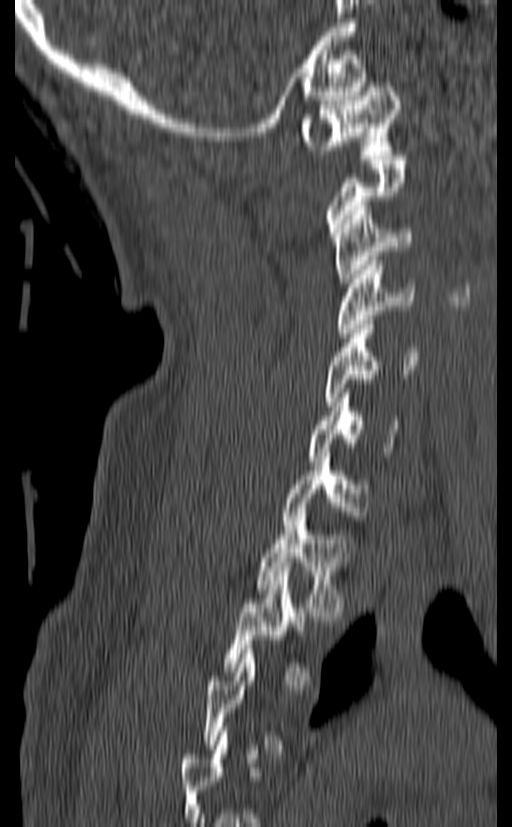 CT, spine; 140 mm wide; sagittal view
Coordinates as <box>x1,y1,x2,y2</box>.
A vertebra is boxed only from the first to the last slice where its cross-section is at least a third of its largest; slices outside that range leave it without a box.
Vertebra bounding boxes:
- C1: <box>301,82,399,154</box>
- C3: <box>332,206,413,287</box>
- C4: <box>334,261,415,337</box>
- C5: <box>323,320,417,406</box>
- C6: <box>308,389,399,461</box>
- C7: <box>283,453,370,529</box>
- T1: <box>256,512,354,616</box>
- T2: <box>223,571,312,685</box>